Spine CT — sagittal plane, index 65 — 146x164 px — scan covers 8 annotated vertebrae
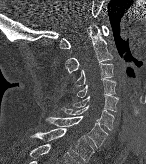
Coordinates as <box>x1,y1,x2,y2</box>.
C1: <box>59,25,109,48</box>
C2: <box>65,25,112,72</box>
C3: <box>74,63,113,86</box>
C4: <box>77,79,115,97</box>
C5: <box>72,94,118,111</box>
C6: <box>61,105,114,130</box>
C7: <box>46,116,108,147</box>
T1: <box>31,128,94,162</box>